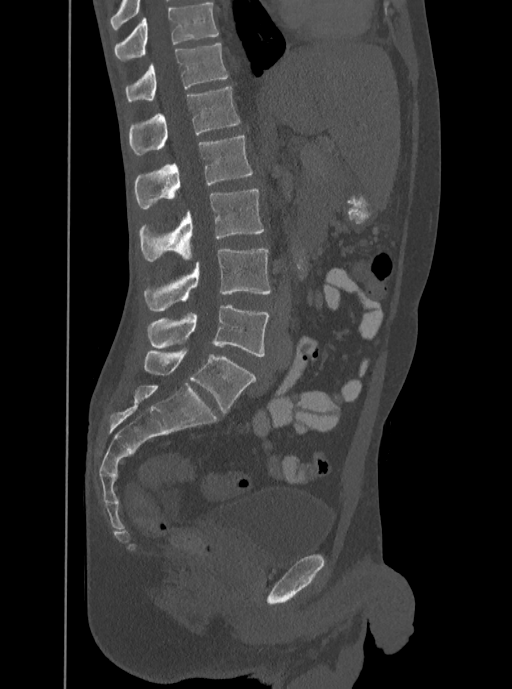
Computed tomography of the spine — sagittal view
Each row gives a vertebra's box as x1, y1, x2, y2 in pixels: top-left corner, then bottom-right corner.
Labels in this scan begin with T12 at the top and end with L5 at the bottom.
| vertebra | x1 | y1 | x2 | y2 |
|---|---|---|---|---|
| T12 | 126 | 42 | 228 | 100 |
| L1 | 128 | 86 | 240 | 156 |
| L2 | 134 | 136 | 252 | 208 |
| L3 | 139 | 188 | 264 | 261 |
| L4 | 143 | 249 | 271 | 311 |
| L5 | 148 | 305 | 269 | 356 |